CT. sagittal view. Bone window (WL 400, WW 1800). 512x845 px
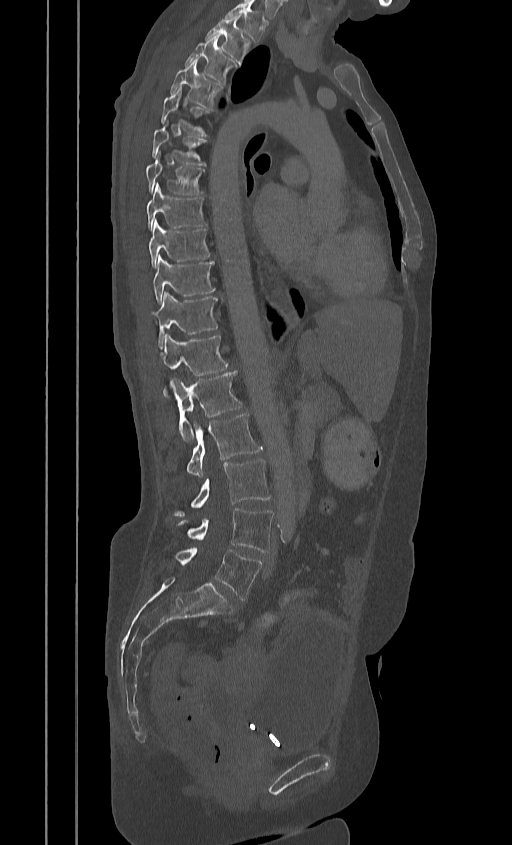 Boxes are (x1, y1, x2, y2) in pixels.
In this scan, the topmost labeled vertebra is T2 and the lowest is L5.
Vertebra bounding boxes:
- T2: (205, 17, 249, 64)
- T3: (185, 37, 235, 82)
- T4: (170, 60, 223, 108)
- T5: (161, 88, 207, 135)
- T6: (152, 128, 205, 164)
- T7: (145, 159, 203, 195)
- T8: (146, 184, 205, 230)
- T9: (148, 220, 209, 267)
- T10: (153, 256, 213, 302)
- T11: (148, 292, 216, 344)
- T12: (158, 335, 228, 375)
- L1: (170, 371, 241, 442)
- L2: (186, 413, 261, 478)
- L3: (174, 459, 271, 515)
- L4: (180, 508, 273, 552)
- L5: (176, 548, 261, 600)